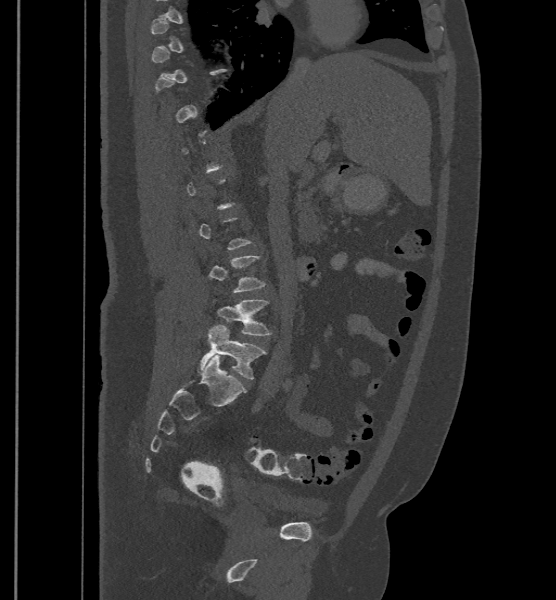
CT spine; sagittal view

Each box given as x1,y1,x2,y2.
Not every vertebra on this slice has a box: a vertebra is boxed only from the first to the last slice where its cross-section is at least a third of its largest, and this slice is outside that range for at least one of them.
In these labels the spine has an L6, a sixth lumbar vertebra below L5.
Vertebra bounding boxes:
- L5: x1=217, y1=300, x2=271, y2=335
- L6: x1=200, y1=324, x2=266, y2=379